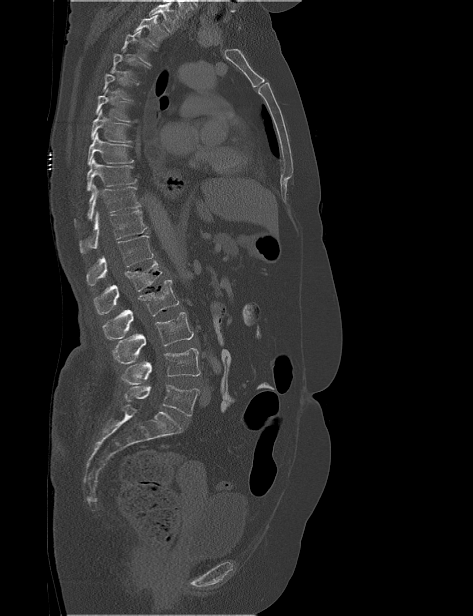
CT. sagittal view. Bone window (WL 400, WW 1800)
Each vertebra maps to its box as [x1, y1, x2, y2], the pixel coordinates of its top-left and bottom-right corners.
No box is given to a vertebra that the top edge of the scan cuts off.
{"vertebrae":{"T2":[134,15,168,47],"T3":[121,30,157,65],"T4":[110,48,150,81],"T5":[102,69,138,100],"T6":[95,88,137,122],"T7":[91,109,132,142],"T8":[87,132,133,165],"T9":[86,158,137,191],"T10":[74,184,140,226],"T11":[79,210,147,254],"T12":[86,235,153,285],"L1":[94,261,162,314],"L2":[102,280,179,340],"L3":[113,312,193,363],"L4":[121,348,200,384],"L5":[125,384,199,416]}}